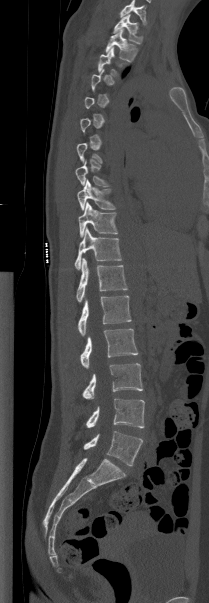
CT spine — sagittal view. Each row gives a vertebra's box as x1, y1, x2, y2 in pixels: top-left corner, then bottom-right corner.
A vertebra is boxed only from the first to the last slice where its cross-section is at least a third of its largest; slices outside that range leave it without a box.
Labels in this scan begin with T1 at the top and end with L5 at the bottom.
| vertebra | x1 | y1 | x2 | y2 |
|---|---|---|---|---|
| L5 | 83 | 431 | 142 | 466 |
| L4 | 86 | 398 | 144 | 428 |
| L3 | 82 | 363 | 143 | 399 |
| L2 | 80 | 329 | 138 | 368 |
| L1 | 78 | 295 | 131 | 335 |
| T12 | 76 | 258 | 127 | 302 |
| T11 | 74 | 227 | 121 | 269 |
| T10 | 78 | 202 | 117 | 237 |
| T9 | 77 | 179 | 115 | 210 |
| T8 | 75 | 160 | 109 | 186 |
| T3 | 98 | 47 | 125 | 78 |
| T2 | 105 | 29 | 137 | 61 |
| T1 | 113 | 14 | 142 | 43 |